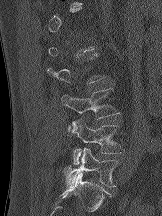

CT; sagittal view; bone window; 162x216 px

Each vertebra maps to its box as [x1, y1, x2, y2], the pixel coordinates of its top-left and bottom-right corners.
Each vertebra is boxed only on the slices from the first to the last where its cross-section reaches a third of its largest, so a slice outside that range leaves it unboxed.
{"vertebrae":{"L5":[64,147,118,187],"L4":[70,119,124,164],"L3":[60,88,120,132]}}